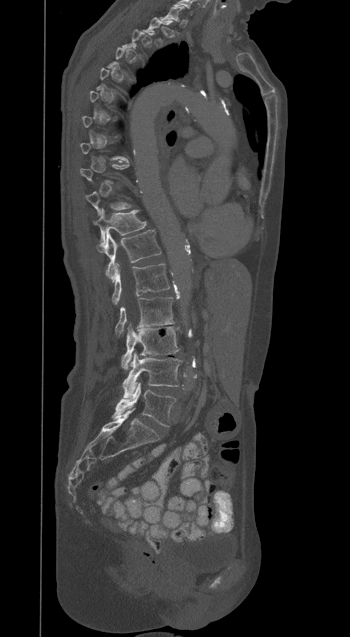 Spine computed tomography · sagittal view
A vertebra gets a box only on the slices from the first to the last where its cross-section is at least a third of its largest; on a slice outside that range it gets none.
<vertebrae><v name="T11" x1="94" y1="209" x2="146" y2="246"/><v name="T12" x1="97" y1="230" x2="161" y2="280"/><v name="L1" x1="112" y1="263" x2="169" y2="304"/><v name="L2" x1="115" y1="297" x2="174" y2="337"/><v name="L3" x1="121" y1="325" x2="178" y2="370"/><v name="L4" x1="122" y1="352" x2="181" y2="397"/><v name="L5" x1="113" y1="382" x2="175" y2="426"/></vertebrae>